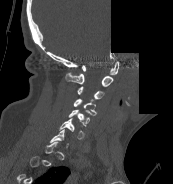
Spine CT. sagittal view. part of the image has been replaced by a constant value
Each row gives a vertebra's box as x1, y1, x2, y2 in pixels: top-left corner, then bottom-right corner.
A vertebra is boxed only from the first to the last slice where its cross-section is at least a third of its largest; slices outside that range leave it without a box.
| vertebra | x1 | y1 | x2 | y2 |
|---|---|---|---|---|
| C6 | 59 | 118 | 84 | 139 |
| C5 | 68 | 109 | 91 | 126 |
| C4 | 73 | 98 | 96 | 115 |
| C3 | 77 | 86 | 104 | 99 |
| C2 | 65 | 72 | 113 | 86 |
| C1 | 82 | 61 | 119 | 74 |